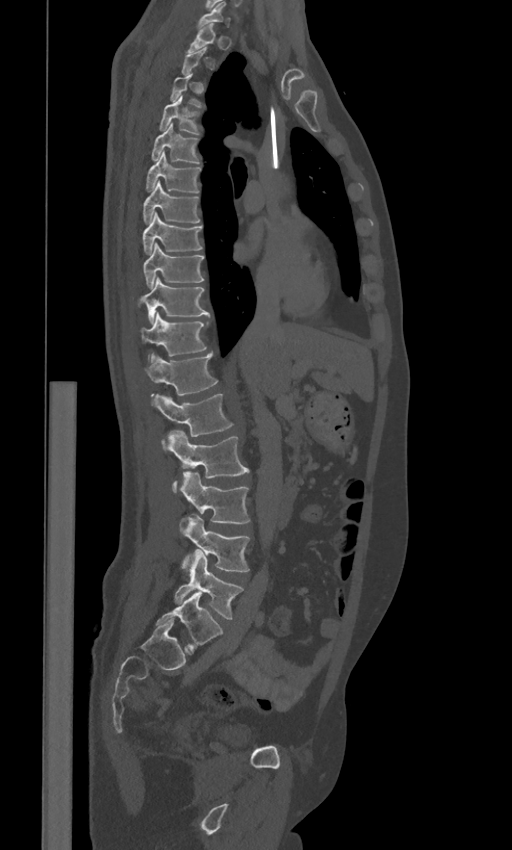 CT spine · the image spans 443 mm across · sagittal view

Boxes: x1:y1:x2:y2 in pixels.
Each vertebra is boxed only on the slices from the first to the last where its cross-section reaches a third of its largest, so a slice outside that range leaves it unboxed.
These labels give the spine a sixth lumbar vertebra, L6, below L5.
C7: 198:1:230:27
T1: 187:24:216:52
T4: 158:95:200:134
T5: 151:123:200:163
T6: 146:152:201:192
T7: 142:181:200:223
T8: 142:212:202:254
T9: 143:243:203:287
T10: 139:277:209:320
T11: 140:312:208:357
T12: 144:353:217:394
L1: 154:393:234:448
L2: 168:431:249:492
L3: 179:472:250:524
L4: 180:515:250:571
L5: 174:549:244:619
L6: 156:592:222:652